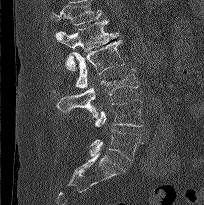 Computed tomography of the spine · sagittal reformat
Each vertebra maps to its box as [x1, y1, x2, y2], the pixel coordinates of its top-left and bottom-right corners.
A vertebra cut off by the top edge of the scan is not labeled and has no box.
{"vertebrae":{"L1":[55,20,119,70],"L2":[53,39,124,94],"L3":[57,68,138,118],"L4":[94,99,143,127],"L5":[89,129,142,160]}}